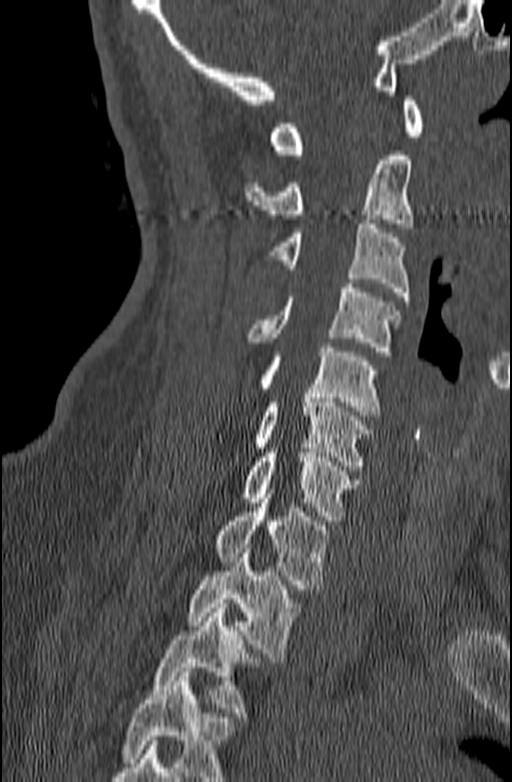
CT spine; sagittal view; Bone window (WL 400, WW 1800); 140 mm across the image; 512x782 px
No box is given to a vertebra that the bottom edge of the scan cuts off.
<vertebrae><v name="C1" x1="270" y1="96" x2="423" y2="159"/><v name="C2" x1="244" y1="151" x2="413" y2="228"/><v name="C3" x1="269" y1="219" x2="410" y2="301"/><v name="C4" x1="246" y1="283" x2="399" y2="356"/><v name="C5" x1="259" y1="347" x2="380" y2="420"/><v name="C6" x1="253" y1="393" x2="373" y2="465"/><v name="C7" x1="243" y1="448" x2="359" y2="520"/><v name="T1" x1="213" y1="489" x2="332" y2="589"/><v name="T2" x1="186" y1="549" x2="300" y2="657"/><v name="T3" x1="151" y1="603" x2="263" y2="717"/></vertebrae>